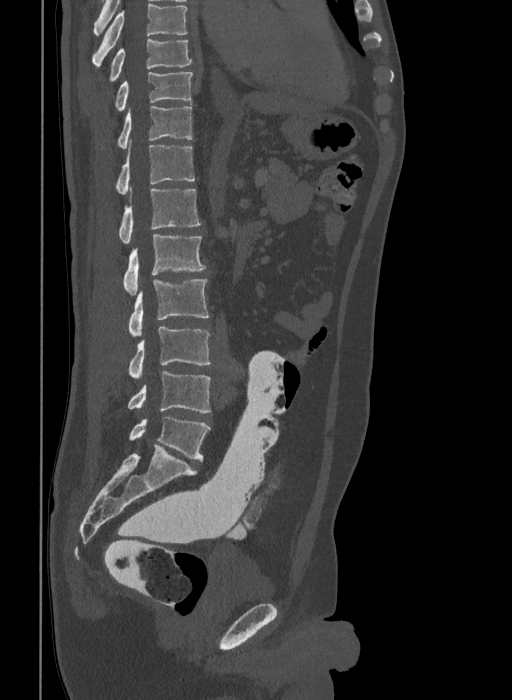
CT, spine — sagittal view — W/L 1800/400 HU — 512x700 px

Each box is [x1, y1, x2, y2] in pixels: top-left corner, then bottom-right corner.
This scan's labels start at T9 at the top and end at L6 at the bottom.
The labels name a sixth lumbar vertebra for this spine: L6, after L5.
{"vertebrae":{"T9":[110,38,192,81],"T10":[115,71,193,111],"T11":[118,106,192,148],"T12":[115,145,194,194],"L1":[119,189,200,243],"L2":[123,234,205,294],"L3":[129,279,209,336],"L4":[129,327,210,379],"L5":[128,372,210,412],"L6":[129,417,210,461]}}